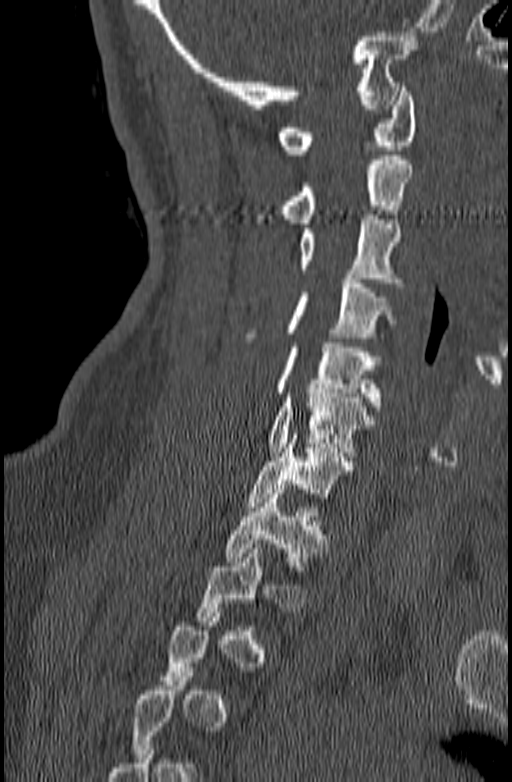 Computed tomography of the spine. sagittal view. the image is 140 mm wide. W/L 1800/400 HU
Box values are [left, top, right, bottom] in pixels.
A vertebra is boxed only from the first to the last slice where its cross-section is at least a third of its largest; slices outside that range leave it without a box.
{"vertebrae":{"C1":[278,87,417,154],"C2":[283,155,413,223],"C3":[299,215,401,282],"C4":[252,279,397,337],"C5":[274,343,382,406],"C6":[268,389,373,456],"C7":[246,434,354,506],"T1":[225,489,326,570]}}